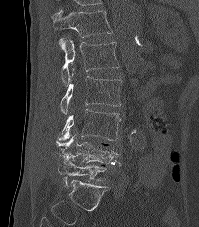 Spine computed tomography · sagittal reformat · image width 199 mm
In this scan, the topmost labeled vertebra is T12 and the lowest is L5.
<vertebrae><v name="T12" x1="51" y1="10" x2="112" y2="37"/><v name="L1" x1="59" y1="37" x2="119" y2="83"/><v name="L2" x1="60" y1="69" x2="121" y2="114"/><v name="L3" x1="57" y1="109" x2="120" y2="141"/><v name="L4" x1="55" y1="134" x2="121" y2="165"/><v name="L5" x1="58" y1="158" x2="107" y2="188"/></vertebrae>